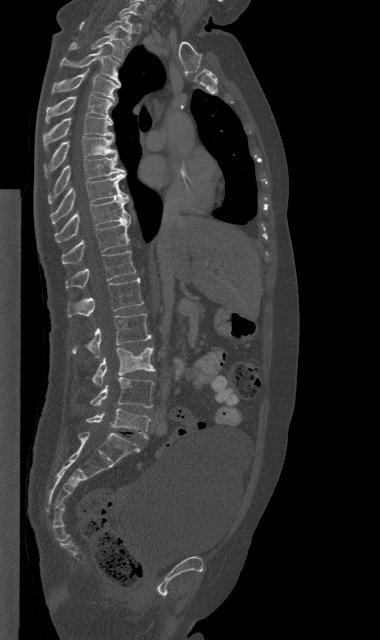 CT spine — the image is 380 mm wide — sagittal view

Boxes: x1 y1 x2 y2 (pixel coords, space-separated).
L5: 86 408 150 438
L4: 91 377 153 407
L3: 92 347 155 386
L2: 72 314 151 358
L1: 67 278 143 316
T12: 65 251 136 288
T11: 62 220 130 264
T10: 55 198 131 242
T9: 50 173 128 223
T8: 48 157 126 202
T7: 45 136 118 175
T6: 42 115 113 150
T5: 45 94 112 122
T4: 52 69 120 100
T3: 61 48 120 84
T2: 68 31 127 60
T1: 79 15 132 41
C7: 119 2 139 16